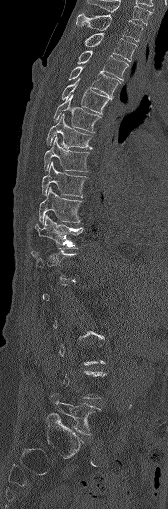
CT spine. sagittal view. bone-window reconstruction
Columns x1, y1, x2, y2 give each box's top-left and bottom-right pixels.
A vertebra is boxed only from the first to the last slice where its cross-section is at least a third of its largest; slices outside that range leave it without a box.
| vertebra | x1 | y1 | x2 | y2 |
|---|---|---|---|---|
| C7 | 88 | 0 | 151 | 24 |
| T1 | 76 | 14 | 143 | 41 |
| T2 | 84 | 33 | 136 | 61 |
| T3 | 77 | 50 | 127 | 79 |
| T4 | 68 | 66 | 119 | 98 |
| T5 | 61 | 79 | 112 | 114 |
| T6 | 53 | 95 | 100 | 132 |
| T7 | 46 | 115 | 91 | 148 |
| T8 | 43 | 136 | 89 | 172 |
| T9 | 41 | 162 | 86 | 196 |
| T10 | 39 | 187 | 82 | 223 |
| T11 | 35 | 215 | 82 | 250 |
| L5 | 50 | 393 | 100 | 434 |